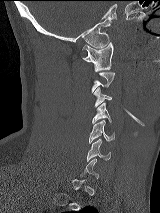
CT spine · 160 mm across the image · sagittal view · bone-window reconstruction · 160x213 px
Bounding boxes as [x1, y1, x2, y2] in pixel coordinates.
A vertebra gets a box only on the slices from the first to the last where its cross-section is at least a third of its largest; on a slice outside that range it gets none.
C1: [82, 42, 113, 71]
C3: [94, 87, 112, 107]
C4: [92, 102, 111, 123]
C5: [89, 120, 114, 143]
C6: [86, 139, 111, 161]